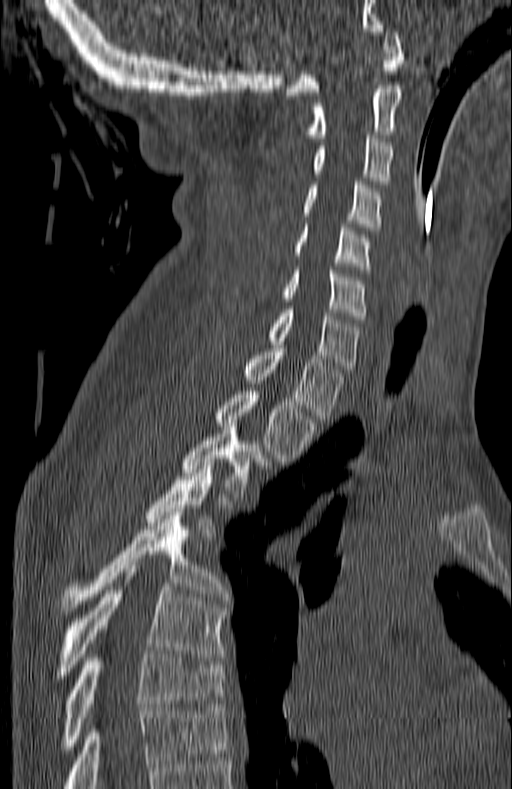

CT, spine; sagittal view; bone window
Boxes are (x1, y1, x2, y2) in pixels.
In this scan, the topmost labeled vertebra is C1 and the lowest is T7.
Vertebra bounding boxes:
- T7: (61, 651, 225, 753)
- T6: (58, 569, 225, 682)
- T5: (61, 512, 227, 611)
- T4: (146, 462, 213, 536)
- T3: (183, 430, 267, 497)
- T2: (214, 391, 316, 465)
- T1: (243, 348, 344, 419)
- C7: (268, 309, 358, 369)
- C6: (283, 270, 367, 319)
- C5: (294, 224, 370, 269)
- C4: (302, 181, 381, 230)
- C3: (314, 135, 393, 184)
- C2: (308, 85, 401, 141)
- C1: (286, 28, 404, 95)